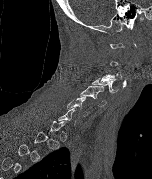 Computed tomography of the spine. sagittal view
Each vertebra maps to its box as [x1, y1, x2, y2], the pixel coordinates of its top-left and bottom-right corners.
A vertebra is boxed only from the first to the last slice where its cross-section is at least a third of its largest; slices outside that range leave it without a box.
{"vertebrae":{"C6":[66,97,88,116],"C5":[80,85,106,107],"C4":[92,76,118,93]}}